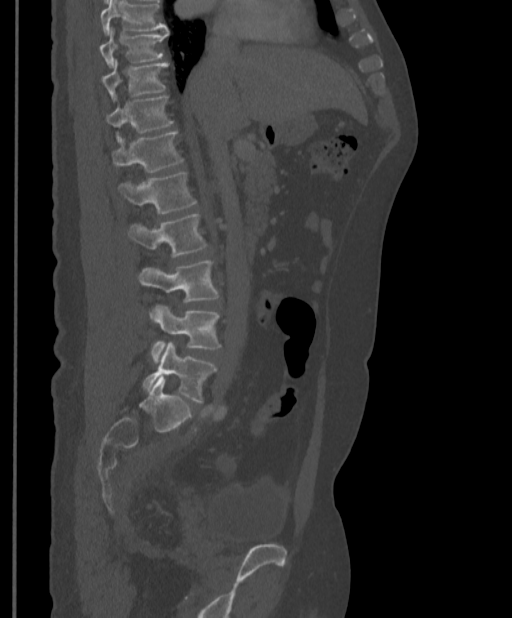 Spine computed tomography. sagittal view. W/L 1800/400 HU. 397 mm across the image
Each box given as x1,y1,x2,y2. Where the top of the scan cuts through a vertebra, that vertebra gets no label or box. 9 vertebrae labeled — T9 at x1=99, y1=28, x2=168, y2=67; T10 at x1=102, y1=59, x2=168, y2=100; T11 at x1=106, y1=95, x2=174, y2=141; T12 at x1=111, y1=130, x2=183, y2=172; L1 at x1=117, y1=172, x2=197, y2=213; L2 at x1=128, y1=214, x2=208, y2=257; L3 at x1=138, y1=261, x2=219, y2=319; L4 at x1=151, y1=304, x2=221, y2=363; L5 at x1=143, y1=342, x2=217, y2=403.